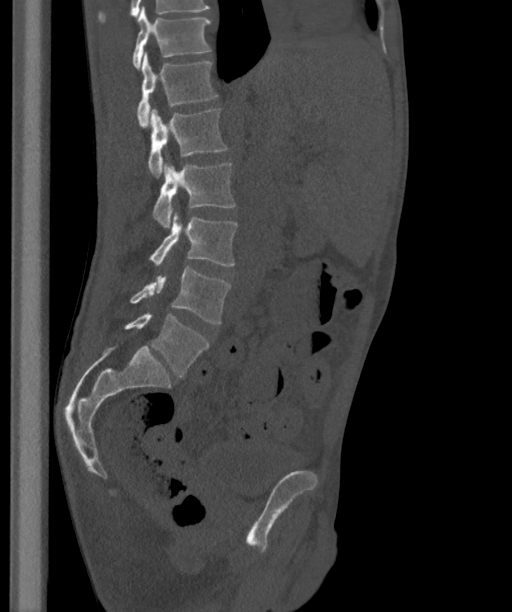 CT spine — sagittal view — the image is 363 mm wide — bone-window reconstruction

Box edges are left/top/right/bottom in pixels.
These labels give the spine a sixth lumbar vertebra, L6, below L5.
| vertebra | x1 | y1 | x2 | y2 |
|---|---|---|---|---|
| T12 | 132 | 6 | 210 | 69 |
| L1 | 137 | 52 | 217 | 127 |
| L2 | 148 | 108 | 227 | 177 |
| L3 | 152 | 162 | 236 | 227 |
| L4 | 149 | 215 | 237 | 266 |
| L5 | 130 | 267 | 230 | 323 |
| L6 | 124 | 312 | 209 | 377 |